Spine computed tomography; sagittal plane, index 250; W/L 1800/400 HU; 12 vertebrae labeled in this scan
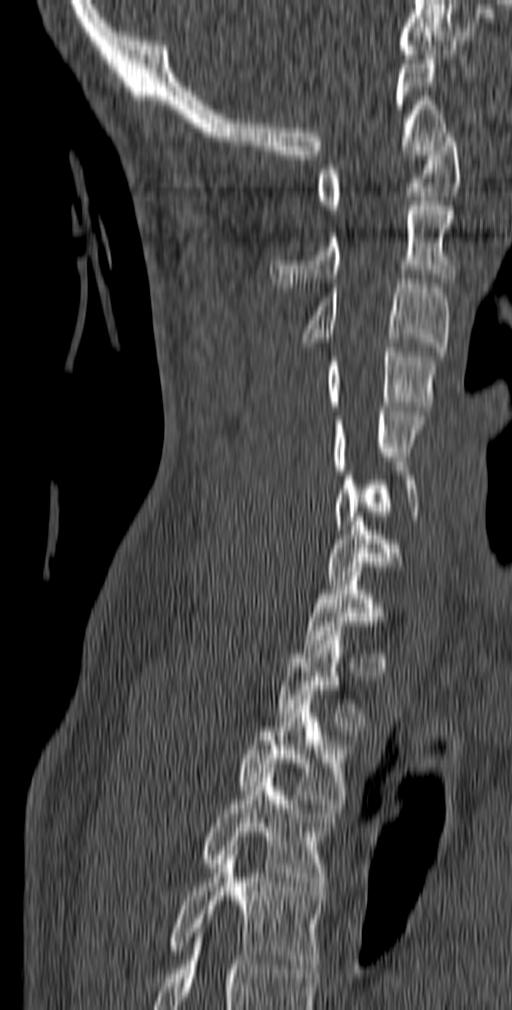
Each box is [x1, y1, x2, y2] in pixels: top-left corner, then bottom-right corner.
Each vertebra is boxed only on the slices from the first to the last where its cross-section reaches a third of its largest, so a slice outside that range leaves it unboxed.
{"vertebrae":{"C1":[316,128,461,214],"C2":[270,201,456,287],"C3":[302,279,450,356],"C4":[327,347,436,410],"C5":[332,407,425,474],"C6":[334,471,419,529],"C7":[326,517,403,584],"T2":[277,631,367,730],"T3":[238,695,350,813],"T4":[202,773,336,895],"T5":[170,850,324,973]}}